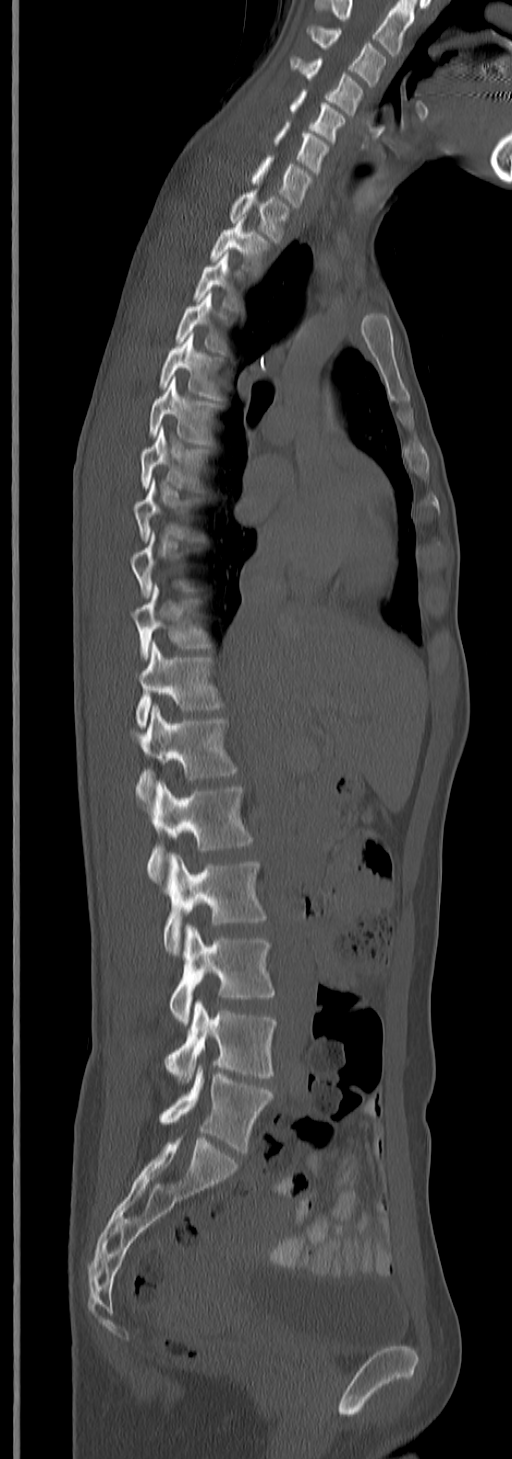

CT, spine; sagittal view; Bone window (WL 400, WW 1800); 512x1459 px; 245 mm wide

Boxes: x1 y1 x2 y2 (pixel coords, space-separated).
A vertebra gets a box only on the slices from the first to the last where its cross-section is at least a third of its largest; on a slice outside that range it gets none.
This scan's labels start at C3 at the top and end at L5 at the bottom.
Vertebra bounding boxes:
- C3: 308 26 386 85
- C4: 291 57 363 115
- C5: 289 88 346 142
- C6: 274 120 330 173
- C7: 249 155 313 206
- T1: 228 191 292 242
- T2: 210 222 269 273
- T3: 193 253 240 311
- T4: 176 293 225 353
- T5: 159 333 221 399
- T6: 149 377 219 443
- T7: 141 427 206 489
- T10: 132 584 211 658
- T11: 136 642 223 729
- T12: 135 705 238 812
- L1: 147 780 252 884
- L2: 164 853 267 955
- L3: 170 924 275 1024
- L4: 166 1000 275 1082
- L5: 159 1064 273 1153